Spine CT. 149 mm across the image. sagittal view
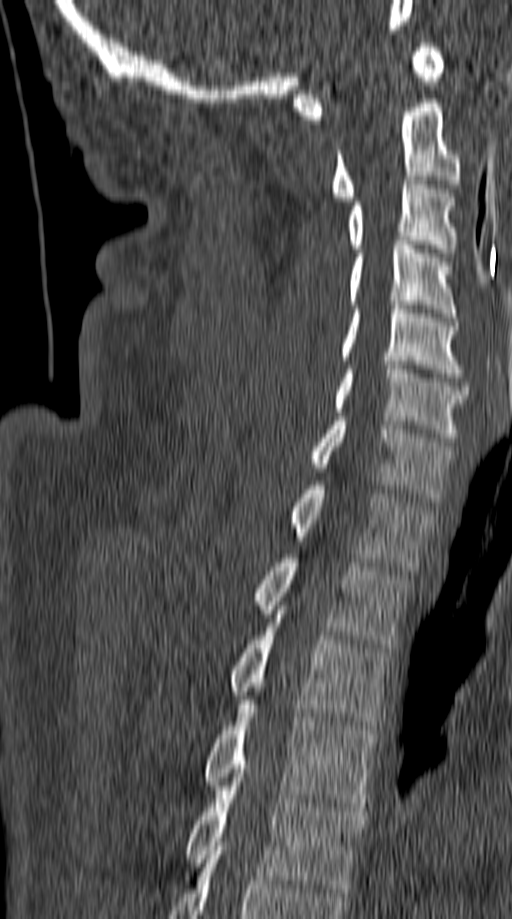
Boxes: x1:y1:x2:y2 in pixels.
C1: 294:43:445:119
C2: 331:99:461:201
C3: 348:176:457:252
C4: 349:241:457:317
C5: 339:301:464:377
C6: 332:361:468:441
C7: 310:417:452:502
T1: 290:481:433:570
T2: 256:558:409:648
T3: 231:614:389:729
T4: 204:704:378:811
T5: 187:777:365:892